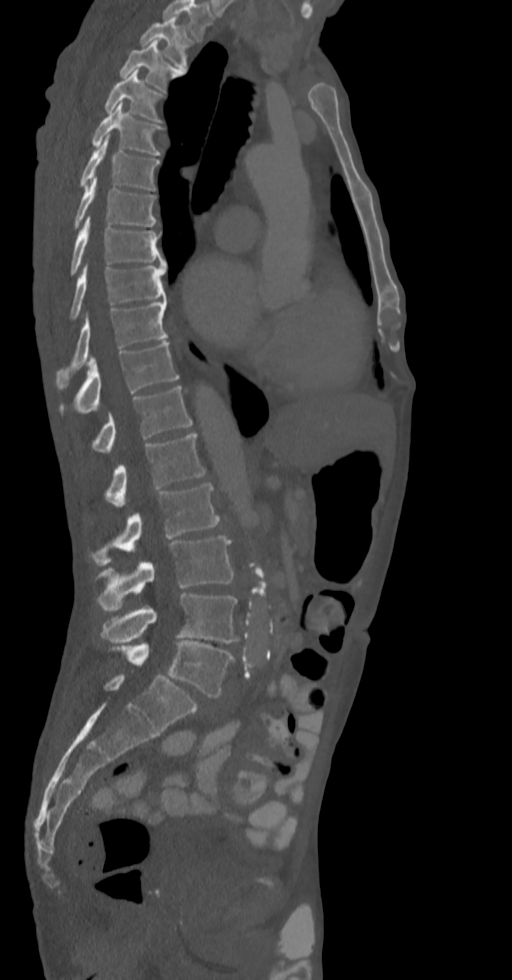 Spine CT — 336 mm image width — sagittal view

Each vertebra maps to its box as [x1, y1, x2, y2], the pixel coordinates of its top-left and bottom-right corners.
This scan's labels start at T2 at the top and end at L5 at the bottom.
{"vertebrae":{"T2":[140,17,192,69],"T3":[119,40,183,92],"T4":[103,70,165,122],"T5":[91,102,163,154],"T6":[79,137,160,189],"T7":[73,178,156,229],"T8":[70,216,166,275],"T9":[68,265,166,322],"T10":[56,299,168,383],"T11":[61,341,179,413],"T12":[93,386,192,452],"L1":[106,433,206,506],"L2":[91,483,220,564],"L3":[97,536,233,610],"L4":[100,593,239,642],"L5":[114,640,233,697]}}